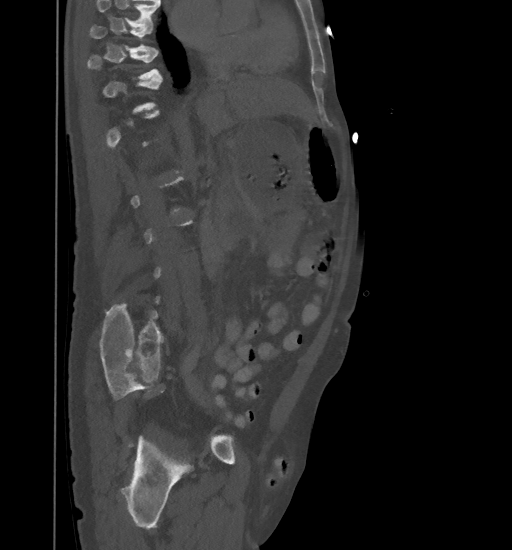

CT spine. sagittal view

Coordinates as <box>x1,y1,x2,y2</box>. A vertebra gets a box only on the slices from the first to the last where its cross-section is at least a third of its largest; on a slice outside that range it gets none. No box is given to a vertebra that the top edge of the scan cuts off. Vertebrae labeled: T9 at <box>89,26,155,51</box>, T10 at <box>88,49,162,79</box>.